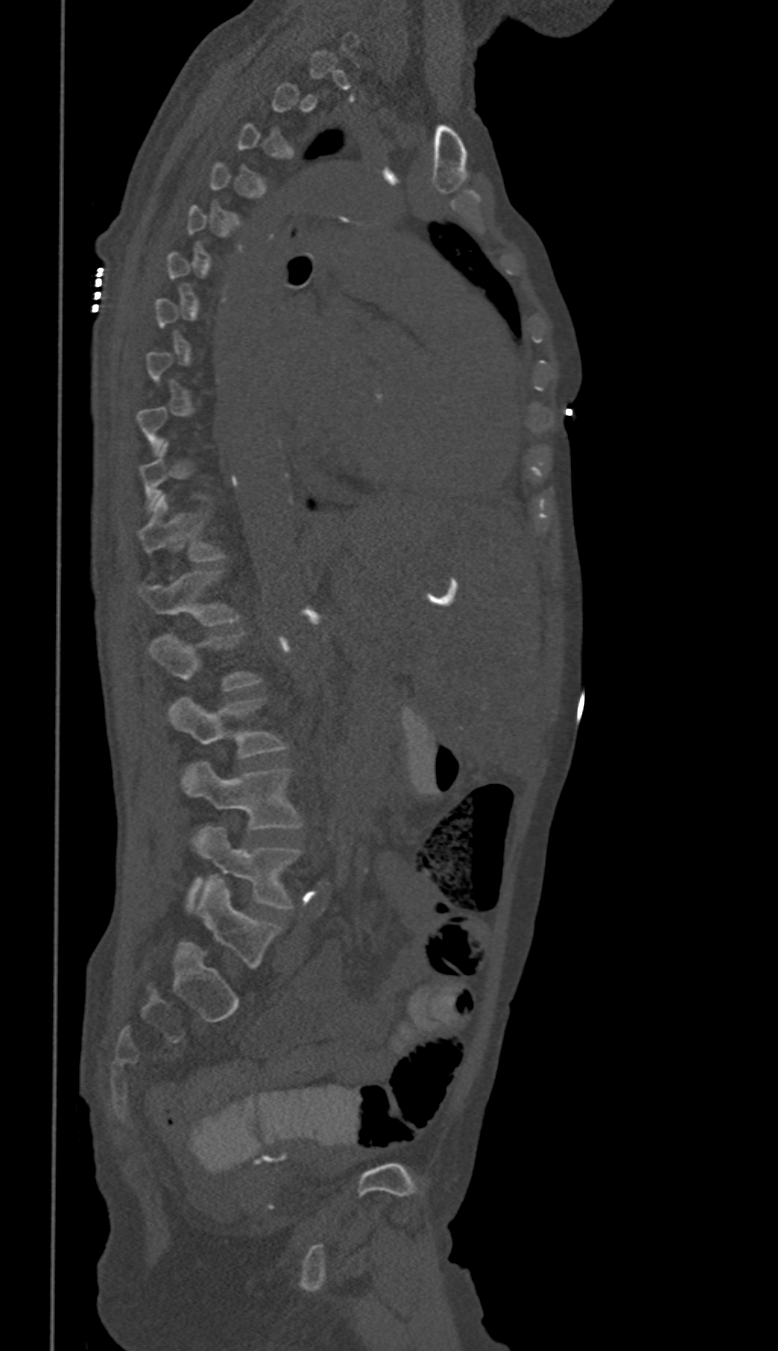 CT spine; image width 350 mm; sagittal view; W/L 1800/400 HU
Boxes: x1 y1 x2 y2 (pixel coords, space-separated). Not every vertebra on this slice has a box: a vertebra is boxed only from the first to the last slice where its cross-section is at least a third of its largest, and this slice is outside that range for at least one of them. These labels give this spine no T12: after T11 the next vertebra is L1. Vertebrae labeled: T11 at 140 494 221 562, L1 at 140 572 236 626, L2 at 149 634 256 691, L3 at 169 698 283 757, L4 at 182 763 301 828, L5 at 188 827 301 908.